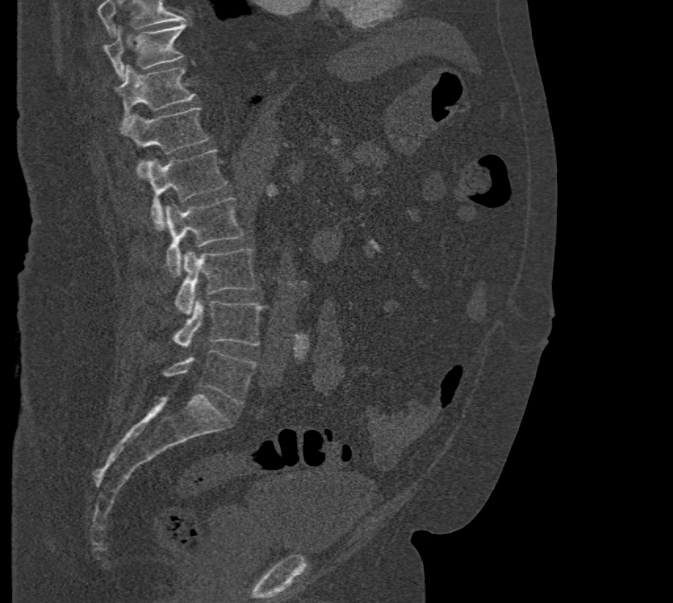

CT, spine; sagittal view; Bone window (WL 400, WW 1800); 673x603 px; image 471 mm wide
A vertebra cut off by the top edge of the scan is not labeled and has no box.
<vertebrae><v name="L5" x1="163" y1="350" x2="257" y2="404"/><v name="L4" x1="172" y1="299" x2="263" y2="347"/><v name="L3" x1="175" y1="249" x2="257" y2="315"/><v name="L2" x1="164" y1="198" x2="243" y2="277"/><v name="L1" x1="146" y1="149" x2="228" y2="228"/><v name="T12" x1="120" y1="108" x2="209" y2="177"/><v name="T11" x1="114" y1="65" x2="195" y2="122"/><v name="T10" x1="103" y1="23" x2="186" y2="81"/></vertebrae>